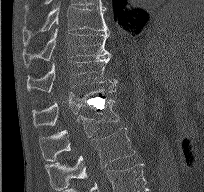

Spine computed tomography — sagittal view — W/L 1800/400 HU
Each row gives a vertebra's box as x1, y1, x2, y2 in pixels: top-left corner, then bottom-right corner.
| vertebra | x1 | y1 | x2 | y2 |
|---|---|---|---|---|
| L2 | 45 | 127 | 135 | 189 |
| L1 | 39 | 99 | 119 | 158 |
| T12 | 32 | 88 | 116 | 126 |
| T11 | 27 | 55 | 117 | 92 |
| T10 | 22 | 28 | 109 | 66 |
| T9 | 23 | 5 | 109 | 45 |